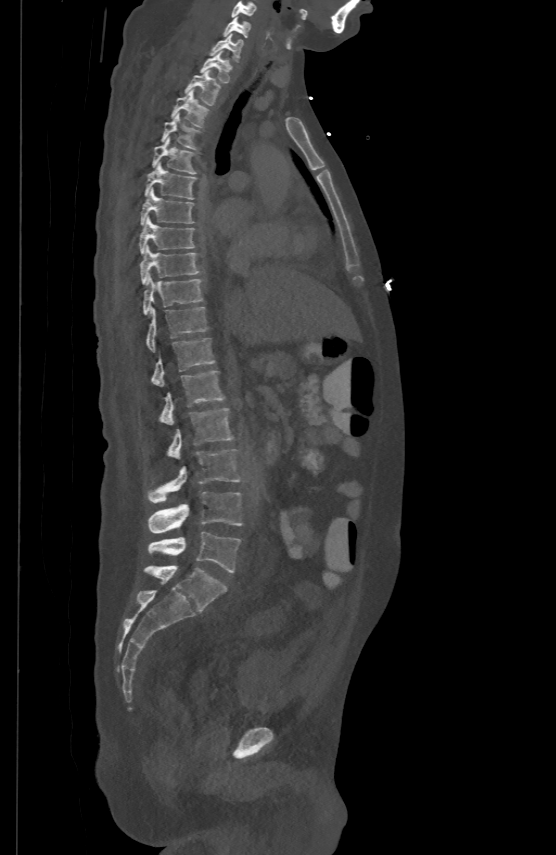

CT spine. sagittal view. 556x855 px
<vertebrae><v name="C5" x1="231" y1="1" x2="256" y2="16"/><v name="C6" x1="224" y1="15" x2="250" y2="36"/><v name="C7" x1="211" y1="32" x2="242" y2="59"/><v name="T1" x1="200" y1="50" x2="229" y2="82"/><v name="T2" x1="186" y1="69" x2="219" y2="105"/><v name="T3" x1="171" y1="89" x2="206" y2="125"/><v name="T4" x1="162" y1="112" x2="195" y2="148"/><v name="T5" x1="152" y1="136" x2="194" y2="173"/><v name="T6" x1="145" y1="162" x2="195" y2="199"/><v name="T7" x1="141" y1="189" x2="193" y2="223"/><v name="T8" x1="139" y1="216" x2="193" y2="252"/><v name="T9" x1="140" y1="245" x2="198" y2="283"/><v name="T10" x1="143" y1="273" x2="202" y2="313"/><v name="T11" x1="146" y1="306" x2="207" y2="350"/><v name="T12" x1="152" y1="336" x2="215" y2="384"/><v name="L1" x1="161" y1="370" x2="224" y2="423"/><v name="L2" x1="169" y1="407" x2="232" y2="459"/><v name="L3" x1="149" y1="448" x2="239" y2="502"/><v name="L4" x1="148" y1="492" x2="242" y2="533"/><v name="L5" x1="149" y1="532" x2="240" y2="572"/></vertebrae>